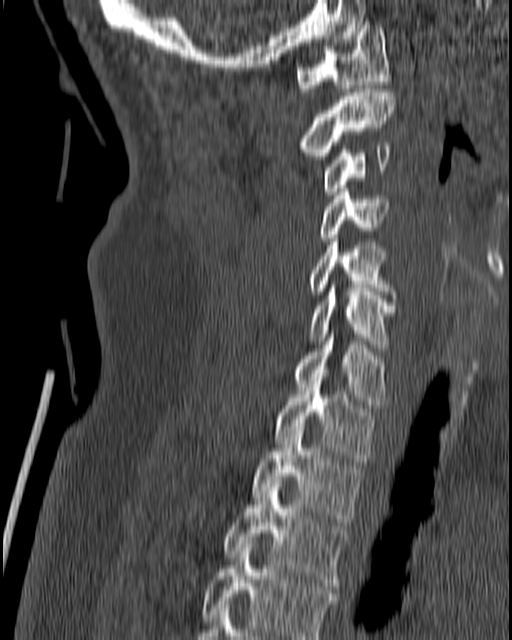

CT — image 180 mm wide — sagittal view
Each box given as x1,y1,x2,y2.
| vertebra | x1 | y1 | x2 | y2 |
|---|---|---|---|---|
| C1 | 296 | 21 | 390 | 91 |
| C2 | 294 | 89 | 396 | 159 |
| C3 | 322 | 142 | 390 | 195 |
| C4 | 319 | 188 | 390 | 241 |
| C5 | 308 | 242 | 395 | 301 |
| C6 | 308 | 284 | 395 | 347 |
| C7 | 291 | 334 | 387 | 408 |
| T1 | 274 | 384 | 375 | 461 |
| T2 | 251 | 427 | 361 | 525 |
| T3 | 223 | 480 | 350 | 589 |
| T4 | 201 | 544 | 339 | 639 |